CT spine · sagittal reformat · 18 vertebrae labeled in this scan · the image spans 447 mm across
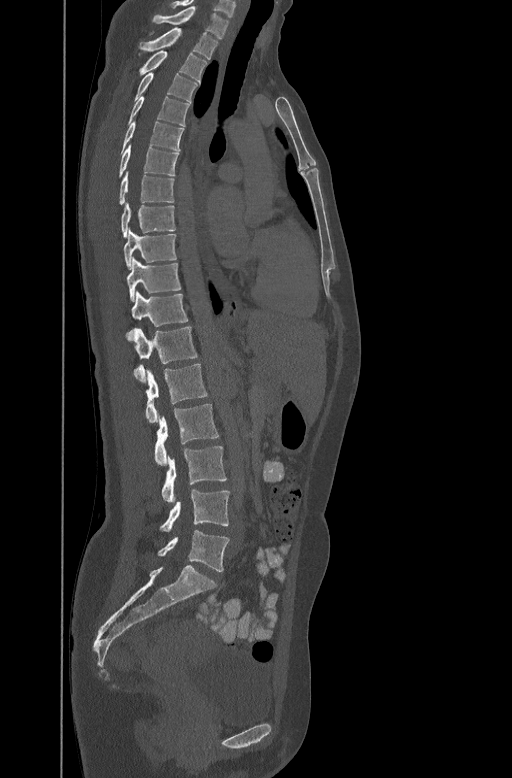
Each box is [x1, y1, x2, y2] in pixels: top-left corner, then bottom-right corner.
{"vertebrae":{"C7":[152,5,229,37],"T1":[140,27,218,58],"T2":[139,48,206,81],"T3":[134,72,198,100],"T4":[129,95,189,125],"T5":[121,120,183,150],"T6":[119,142,179,176],"T7":[119,170,174,204],"T8":[121,201,175,236],"T9":[124,228,176,268],"T10":[127,256,181,300],"T11":[129,291,188,333],"T12":[126,325,197,381],"L1":[145,363,207,423],"L2":[155,404,219,465],"L3":[161,446,227,502],"L4":[160,489,229,531],"L5":[158,530,229,571]}}